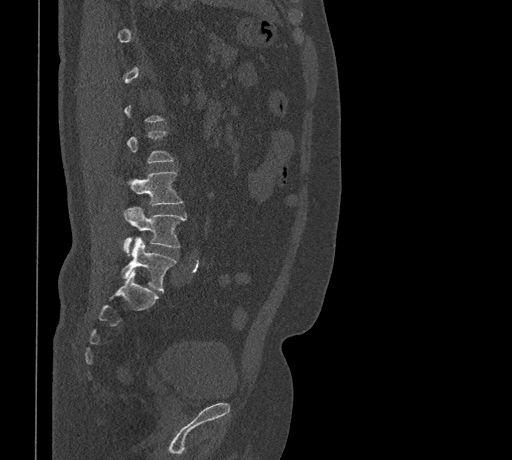

Spine computed tomography · sagittal view · 461 mm image width
Boxes below are [x1, y1, x2, y2] in pixels.
Each vertebra is boxed only on the slices from the first to the last where its cross-section reaches a third of its largest, so a slice outside that range leaves it unboxed.
{"vertebrae":{"L3":[131,171,182,206],"L4":[123,207,185,252],"L5":[121,237,175,291]}}